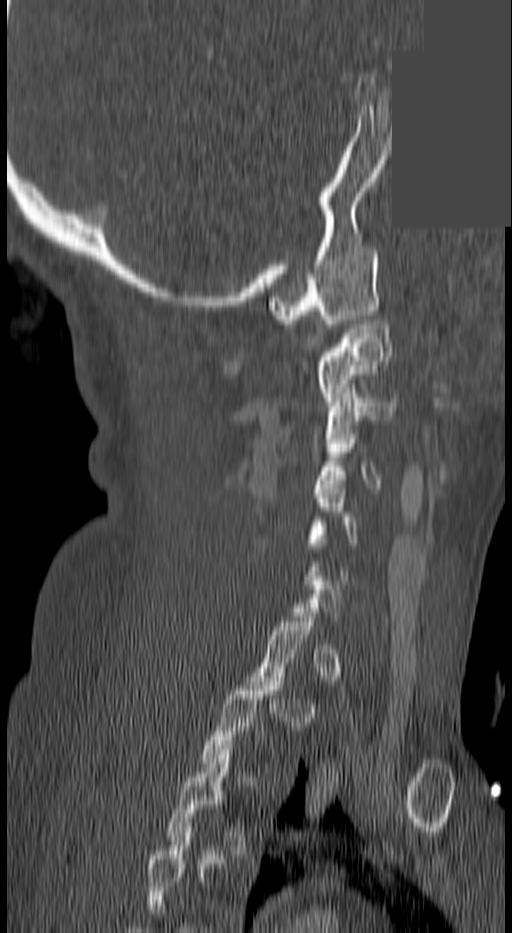 CT · sagittal view · bone window · a region is masked with a constant gray value

Boxes below are [x1, y1, x2, y2] in pixels.
A vertebra is boxed only from the first to the last slice where its cross-section is at least a third of its largest; slices outside that range leave it without a box.
In this scan, the topmost labeled vertebra is C1 and the lowest is T3.
{"vertebrae":{"C1":[268,247,377,324],"C2":[313,320,392,401],"C3":[325,389,396,438],"C4":[316,434,381,488],"C5":[306,485,359,552],"T3":[166,745,253,854]}}